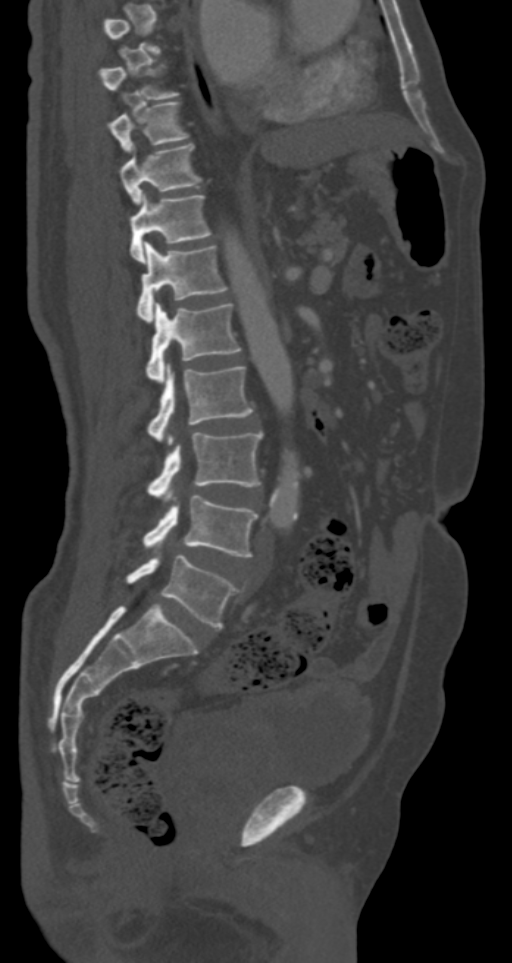 Computed tomography of the spine — sagittal view — bone window — 287 mm image width
Coordinates as <box>x1,y1,x2,y2</box>. A vertebra is boxed only from the first to the last slice where its cross-section is at least a third of its largest; slices outside that range leave it without a box. 9 vertebrae labeled — T9 at <box>107,101,188,150</box>; T10 at <box>119,144,200,203</box>; T11 at <box>130,191,211,261</box>; T12 at <box>137,242,227,321</box>; L1 at <box>146,301,241,382</box>; L2 at <box>148,363,252,445</box>; L3 at <box>148,431,261,500</box>; L4 at <box>142,496,257,557</box>; L5 at <box>126,554,239,628</box>.